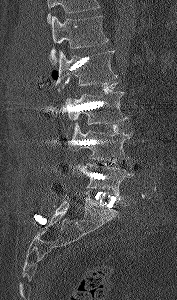 Computed tomography of the spine; 177 mm wide; sagittal view; 177x300 px. Coordinates as <box>x1,y1,x2,y2</box>.
No box is given to a vertebra that the top edge of the scan cuts off.
Vertebra bounding boxes:
- L1: <box>49,16,109,66</box>
- L2: <box>53,50,117,91</box>
- L3: <box>64,91,128,124</box>
- L4: <box>71,122,132,163</box>
- L5: <box>77,163,132,199</box>